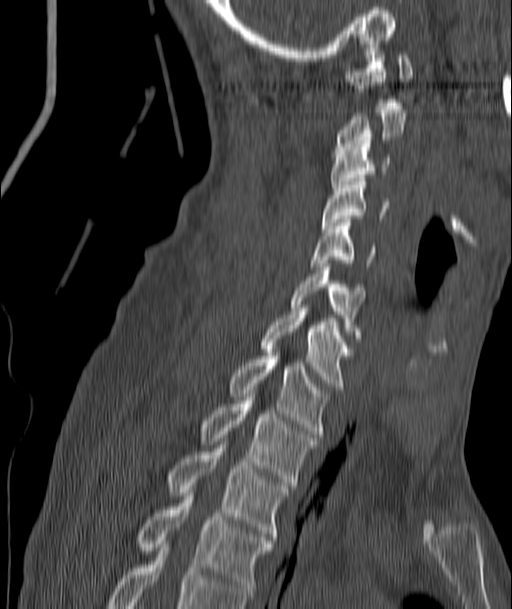

Computed tomography of the spine; 187 mm across the image; sagittal view; bone-window reconstruction; 512x609 px

<vertebrae><v name="C1" x1="346" y1="44" x2="413" y2="105"/><v name="C2" x1="338" y1="106" x2="405" y2="150"/><v name="C3" x1="329" y1="144" x2="389" y2="191"/><v name="C4" x1="321" y1="178" x2="389" y2="228"/><v name="C5" x1="310" y1="219" x2="375" y2="266"/><v name="C6" x1="291" y1="264" x2="364" y2="338"/><v name="C7" x1="261" y1="305" x2="348" y2="389"/><v name="T1" x1="231" y1="349" x2="326" y2="437"/><v name="T2" x1="201" y1="397" x2="315" y2="485"/><v name="T3" x1="168" y1="445" x2="287" y2="540"/><v name="T4" x1="138" y1="493" x2="274" y2="598"/></vertebrae>